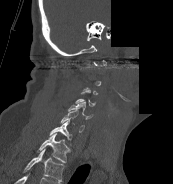

CT, spine. sagittal view. bone window. 173x184 px. a region is blanked to uniform black, ending in a straight edge

Bounding boxes as [x1, y1, x2, y2] in pixel coordinates.
A vertebra gets a box only on the slices from the first to the last where its cross-section is at least a third of its largest; on a slice outside that range it gets none.
Labels in this scan begin with C1 at the top and end with T1 at the bottom.
Vertebra bounding boxes:
- C5: [68, 102, 93, 119]
- C6: [60, 110, 84, 132]
- C7: [49, 119, 72, 145]
- T1: [36, 133, 70, 162]